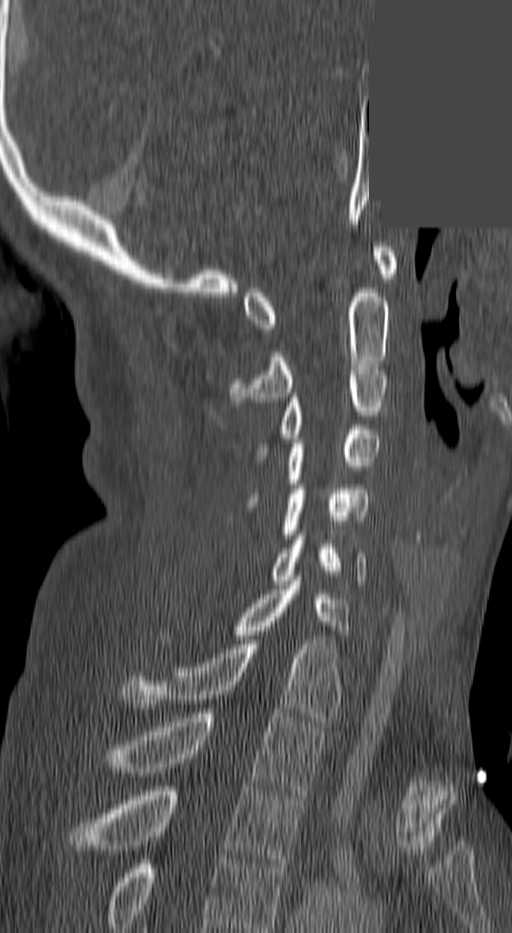

CT, spine. sagittal view. 512x933 px. a region of this slice is masked with a uniform fill. Box edges are left/top/right/bottom in pixels.
In this scan, the topmost labeled vertebra is C1 and the lowest is T3.
Vertebra bounding boxes:
- C1: left=243, top=247, right=395, bottom=333
- C2: left=232, top=288, right=388, bottom=401
- C3: left=258, top=366, right=388, bottom=452
- C4: left=282, top=430, right=377, bottom=484
- C5: left=287, top=485, right=370, bottom=538
- C6: left=272, top=535, right=367, bottom=584
- C7: left=235, top=576, right=348, bottom=639
- T1: left=122, top=640, right=340, bottom=721
- T2: left=107, top=709, right=322, bottom=794
- T3: left=67, top=786, right=304, bottom=868